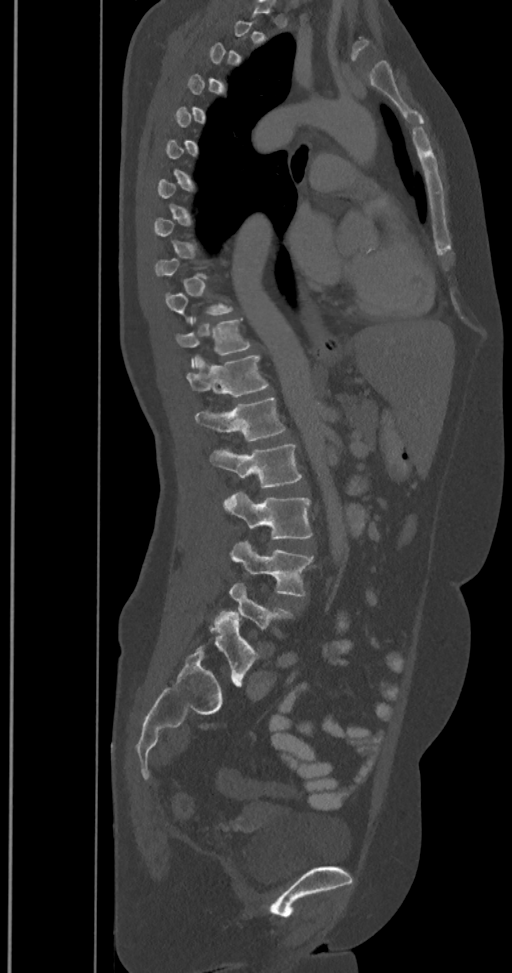
Spine CT. sagittal view. bone window. 512x973 px
Boxes: x1 y1 x2 y2 (pixel coords, space-separated).
Not every vertebra on this slice has a box: a vertebra is boxed only from the first to the last slice where its cross-section is at least a third of its largest, and this slice is outside that range for at least one of them.
The labels name a sixth lumbar vertebra for this spine: L6, after L5.
Vertebra bounding boxes:
- T11: 175 317 250 366
- T12: 186 354 268 397
- L1: 194 396 285 441
- L2: 210 444 302 487
- L3: 224 492 312 539
- L4: 231 540 313 597
- L5: 229 582 293 628
- L6: 196 612 258 685